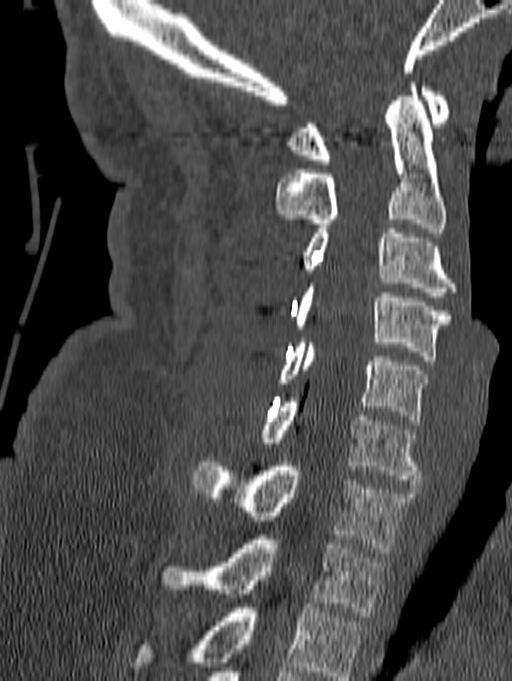

CT spine · the image is 140 mm wide · sagittal view · bone window · 512x681 px
Coordinates as <box>x1,y1,x2,y2</box>.
Labels in this scan begin with C1 at the top and end with T1 at the bottom.
T1: <box>160,535,386,616</box>
C7: <box>192,462,414,552</box>
C6: <box>261,398,421,484</box>
C5: <box>276,338,428,424</box>
C4: <box>294,283,450,360</box>
C3: <box>303,229,456,296</box>
C2: <box>274,82,447,232</box>
C1: <box>289,82,450,164</box>